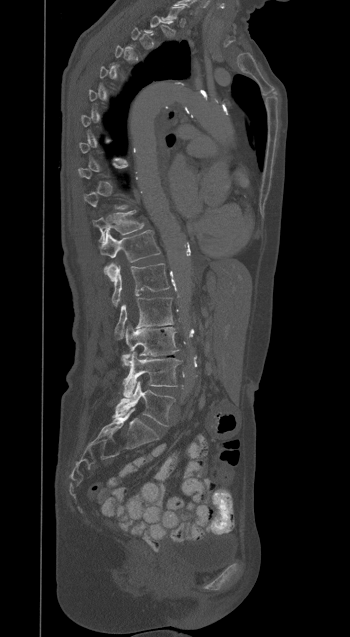 Computed tomography of the spine · sagittal reformat · bone window · 350x637 px

Box edges are left/top/right/bottom in pixels.
Not every vertebra on this slice has a box: a vertebra is boxed only from the first to the last slice where its cross-section is at least a third of its largest, and this slice is outside that range for at least one of them.
| vertebra | x1 | y1 | x2 | y2 |
|---|---|---|---|---|
| T11 | 93 | 211 | 143 | 243 |
| T12 | 100 | 230 | 160 | 280 |
| L1 | 112 | 263 | 169 | 306 |
| L2 | 114 | 297 | 173 | 339 |
| L3 | 122 | 324 | 178 | 365 |
| L4 | 123 | 352 | 181 | 397 |
| L5 | 113 | 381 | 174 | 426 |